Spine computed tomography; Sagittal slice 245/512
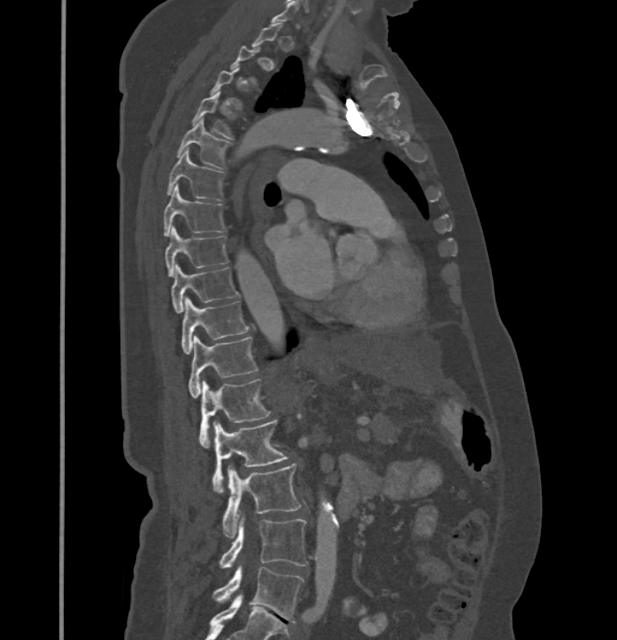 Each vertebra maps to its box as [x1, y1, x2, y2], the pixel coordinates of its top-left and bottom-right corners.
A vertebra is boxed only from the first to the last slice where its cross-section is at least a third of its largest; slices outside that range leave it without a box.
In these labels the spine has no T12: the thoracic vertebrae end at T11, and L1 comes next.
{"vertebrae":{"T4":[192,92,236,139],"T5":[177,119,229,171],"T6":[168,149,223,199],"T7":[163,186,226,235],"T8":[164,227,229,276],"T9":[171,266,238,312],"T10":[181,297,249,354],"T11":[188,336,257,398],"L1":[200,379,270,448],"L2":[212,420,287,494],"L3":[223,463,300,538],"L4":[218,515,308,568],"L5":[212,567,303,622]}}